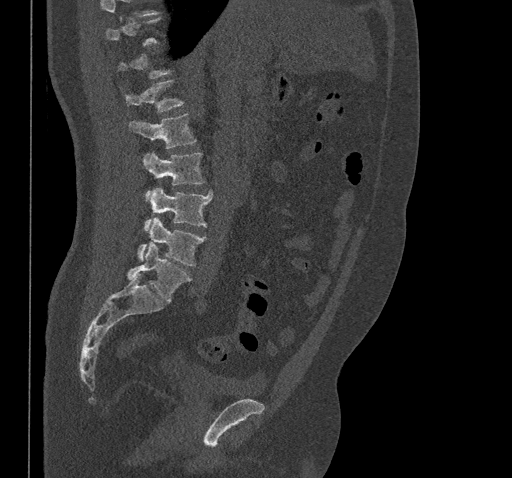

Spine computed tomography — sagittal view
A vertebra is boxed only from the first to the last slice where its cross-section is at least a third of its largest; slices outside that range leave it without a box.
<vertebrae><v name="T12" x1="125" y1="80" x2="183" y2="113"/><v name="L1" x1="129" y1="114" x2="196" y2="148"/><v name="L2" x1="142" y1="152" x2="204" y2="200"/><v name="L3" x1="144" y1="188" x2="213" y2="230"/><v name="L4" x1="138" y1="218" x2="205" y2="265"/><v name="L5" x1="128" y1="242" x2="191" y2="301"/></vertebrae>